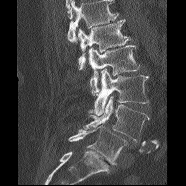

CT, spine — 186 mm image width — sagittal view
Box values are [left, top, right, bottom] in pixels.
Vertebrae that run past the top of the scan are left unlabeled.
{"vertebrae":{"L1":[78,19,130,69],"L2":[88,44,140,95],"L3":[87,68,149,115],"L4":[83,96,149,141],"L5":[68,125,127,164]}}